CT · 186 mm across the image · Sagittal slice 23/52 · bone-window reconstruction
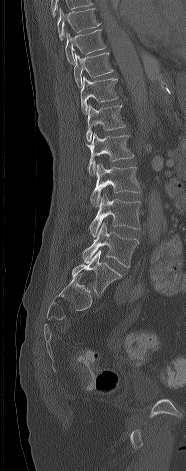

Boxes are (x1, y1, x2, y2) in pixels. Vertebrae labeled: T8 at (57, 7, 101, 40), T9 at (65, 29, 106, 65), T10 at (74, 52, 113, 88), T11 at (80, 76, 118, 114), T12 at (86, 104, 125, 142), L1 at (87, 133, 133, 174), L2 at (90, 164, 139, 207), L3 at (89, 195, 140, 236), L4 at (81, 223, 138, 267), L5 at (72, 250, 121, 296).